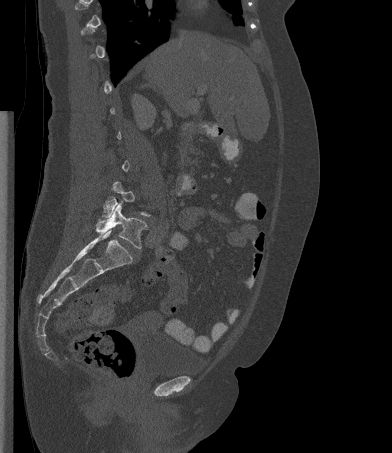 Spine CT · sagittal view · 392x453 px · 392 mm across the image
Box edges are left/top/right/bottom in pixels. Each vertebra is boxed only on the slices from the first to the last where its cross-section reaches a third of its largest, so a slice outside that range leaves it unboxed. The labeled vertebrae in this slice are: L4 at left=102, top=181, right=150, bottom=217, L5 at left=96, top=203, right=147, bottom=248.